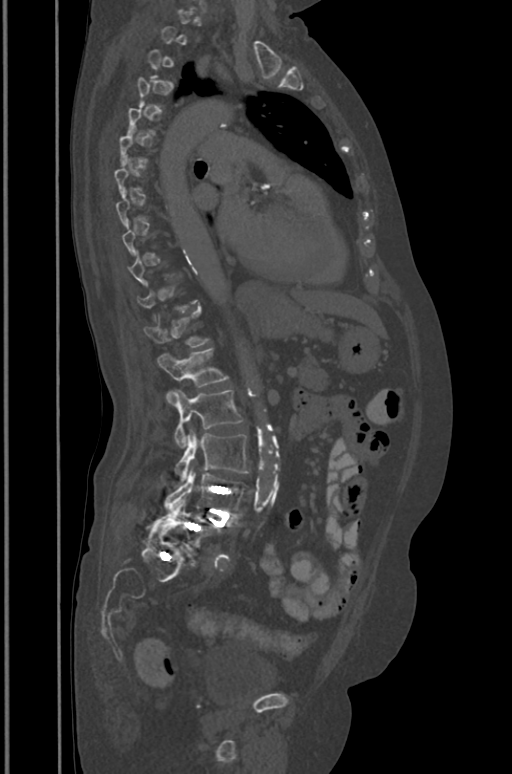

Computed tomography of the spine. sagittal view. W/L 1800/400 HU. the image is 391 mm wide

Not every vertebra on this slice has a box: a vertebra is boxed only from the first to the last slice where its cross-section is at least a third of its largest, and this slice is outside that range for at least one of them.
<vertebrae><v name="T12" x1="144" y1="310" x2="209" y2="347"/><v name="L1" x1="157" y1="348" x2="227" y2="399"/><v name="L2" x1="174" y1="390" x2="241" y2="447"/><v name="L3" x1="174" y1="428" x2="249" y2="481"/><v name="L4" x1="165" y1="470" x2="249" y2="514"/><v name="L5" x1="156" y1="499" x2="222" y2="549"/></vertebrae>